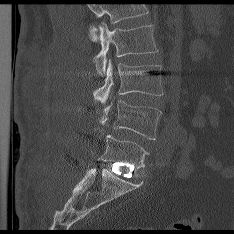 Spine CT. 234 mm across the image. sagittal view

A vertebra cut off by the top edge of the scan is not labeled and has no box.
<vertebrae><v name="L2" x1="94" y1="23" x2="157" y2="75"/><v name="L3" x1="93" y1="59" x2="162" y2="103"/><v name="L4" x1="100" y1="100" x2="161" y2="139"/><v name="L5" x1="98" y1="135" x2="148" y2="169"/></vertebrae>